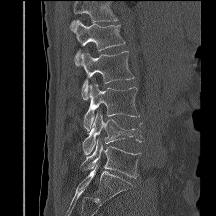
CT — sagittal view — 216 mm across the image
Columns x1, y1, x2, y2 give each box's top-left and bottom-right pixels.
No box is given to a vertebra that the top edge of the scan cuts off.
| vertebra | x1 | y1 | x2 | y2 |
|---|---|---|---|---|
| L1 | 71 | 20 | 125 | 65 |
| L2 | 79 | 51 | 134 | 99 |
| L3 | 83 | 83 | 139 | 133 |
| L4 | 83 | 112 | 144 | 154 |
| L5 | 80 | 140 | 141 | 177 |